CT, spine · sagittal view · bone window · image width 162 mm
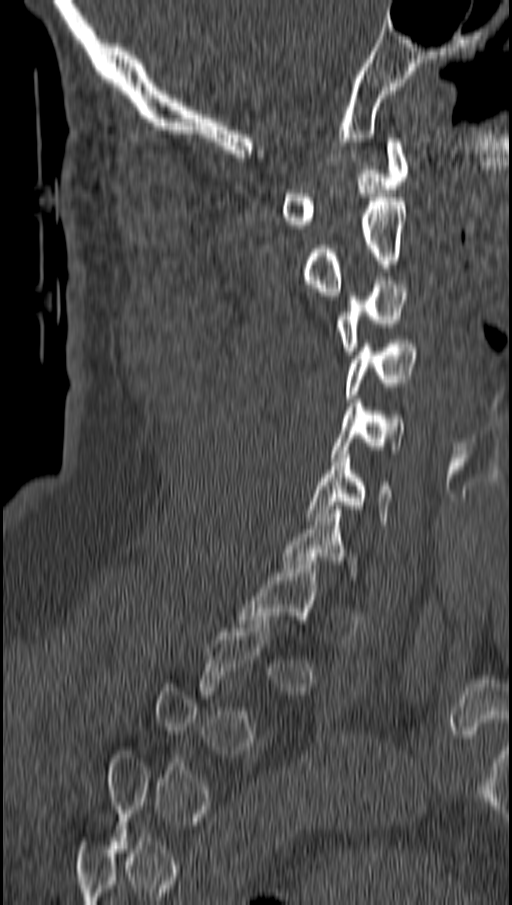

Not every vertebra on this slice has a box: a vertebra is boxed only from the first to the last slice where its cross-section is at least a third of its largest, and this slice is outside that range for at least one of them.
<vertebrae><v name="T1" x1="238" y1="561" x2="316" y2="627"/><v name="C6" x1="308" y1="450" x2="392" y2="524"/><v name="C5" x1="330" y1="399" x2="405" y2="461"/><v name="C4" x1="346" y1="340" x2="417" y2="398"/><v name="C3" x1="336" y1="280" x2="410" y2="355"/><v name="C2" x1="301" y1="198" x2="405" y2="295"/><v name="C1" x1="282" y1="138" x2="408" y2="228"/></vertebrae>